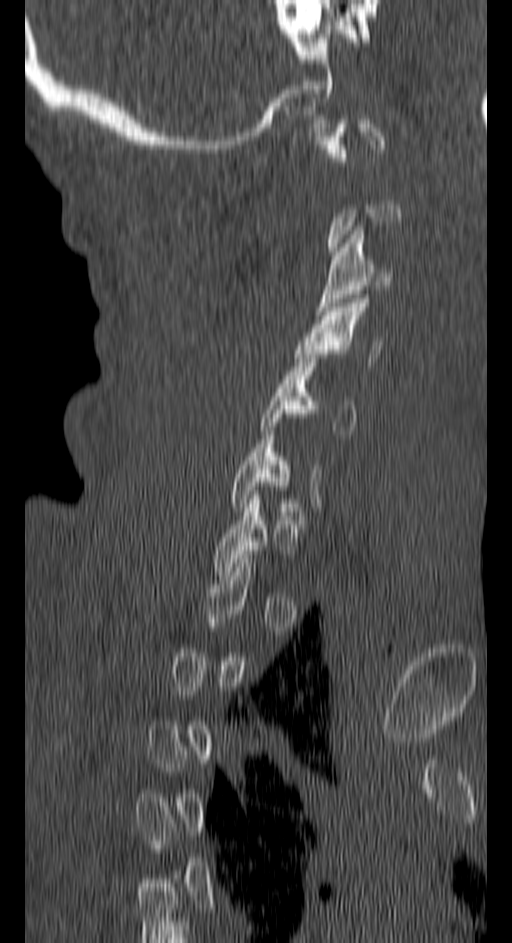
CT; sagittal view; W/L 1800/400 HU; 512x943 px
A vertebra gets a box only on the slices from the first to the last where its cross-section is at least a third of its largest; on a slice outside that range it gets none.
<vertebrae><v name="C5" x1="261" y1="354" x2="355" y2="434"/><v name="C4" x1="295" y1="299" x2="381" y2="366"/><v name="C3" x1="314" y1="226" x2="389" y2="315"/></vertebrae>